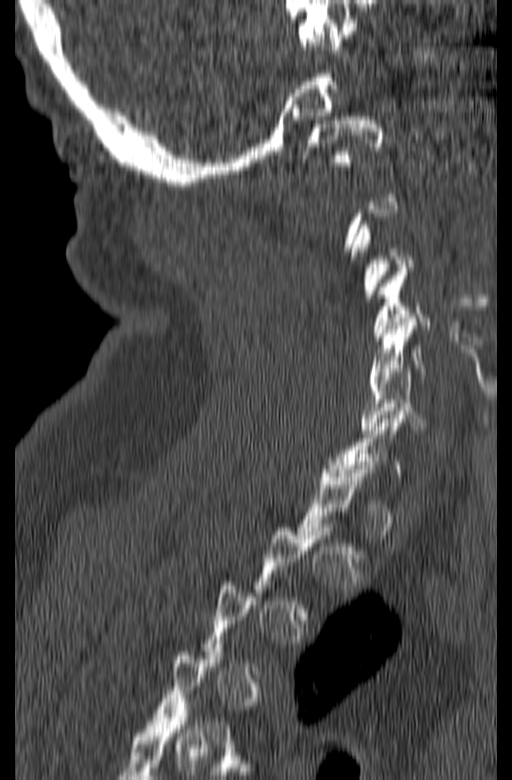 Computed tomography of the spine; sagittal view; 165 mm wide; 512x780 px
Boxes: x1:y1:x2:y2 in pixels.
Each vertebra is boxed only on the slices from the first to the last where its cross-section reaches a third of its largest, so a slice outside that range leaves it unboxed.
Vertebra bounding boxes:
- C1: 302:116:383:166
- C4: 373:268:429:340
- C5: 369:318:428:387
- C6: 360:368:424:433